CT, spine · sagittal view · 11 vertebrae labeled in this scan
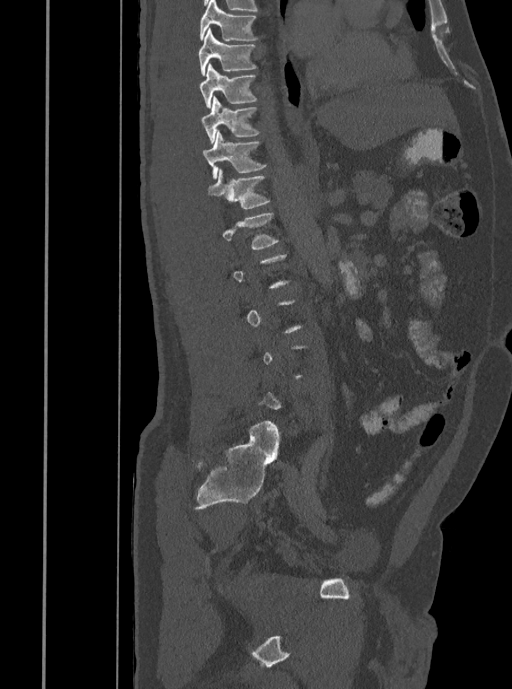 A vertebra gets a box only on the slices from the first to the last where its cross-section is at least a third of its largest; on a slice outside that range it gets none.
<vertebrae><v name="L1" x1="222" y1="212" x2="277" y2="249"/><v name="T12" x1="208" y1="168" x2="270" y2="209"/><v name="T11" x1="202" y1="130" x2="266" y2="179"/><v name="T10" x1="201" y1="96" x2="260" y2="144"/><v name="T9" x1="199" y1="63" x2="256" y2="107"/><v name="T8" x1="198" y1="28" x2="256" y2="75"/><v name="T7" x1="199" y1="0" x2="256" y2="41"/></vertebrae>